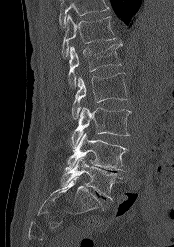
Computed tomography of the spine — sagittal view — bone window
Coordinates as <box>x1,y1,x2,y2</box>. Where the top of the scan cuts through a vertebra, that vertebra gets no label or box. Vertebrae labeled: T12 at <box>61,14,116,58</box>, L1 at <box>68,44,121,88</box>, L2 at <box>71,73,128,119</box>, L3 at <box>71,107,131,149</box>, L4 at <box>65,133,128,170</box>, L5 at <box>61,157,122,200</box>.